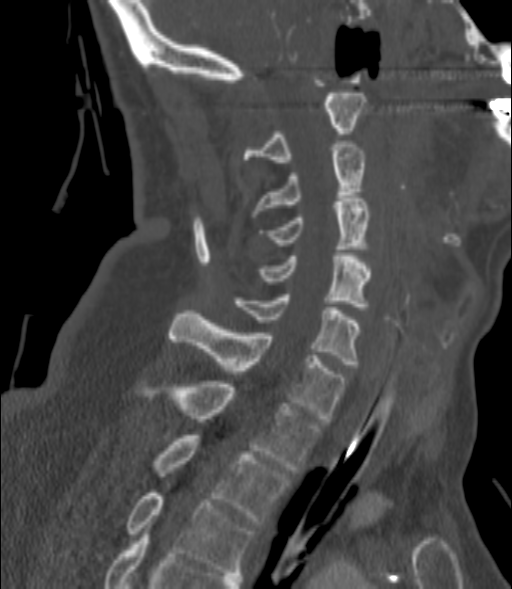

Spine computed tomography; sagittal reformat; 200 mm wide; bone-window reconstruction
Each vertebra maps to its box as [x1, y1, x2, y2], the pixel coordinates of its top-left and bottom-right corners.
{"vertebrae":{"C2":[244,93,366,162],"C3":[252,144,366,213],"C4":[262,198,371,249],"C5":[259,253,371,309],"C6":[234,294,361,367],"C7":[170,310,345,421],"T1":[142,381,320,473],"T2":[154,435,289,524],"T3":[126,493,253,575]}}